CT spine; 368 mm across the image; sagittal plane, index 214; Bone window (WL 400, WW 1800); 613x1182 px; 16 vertebrae labeled in this scan
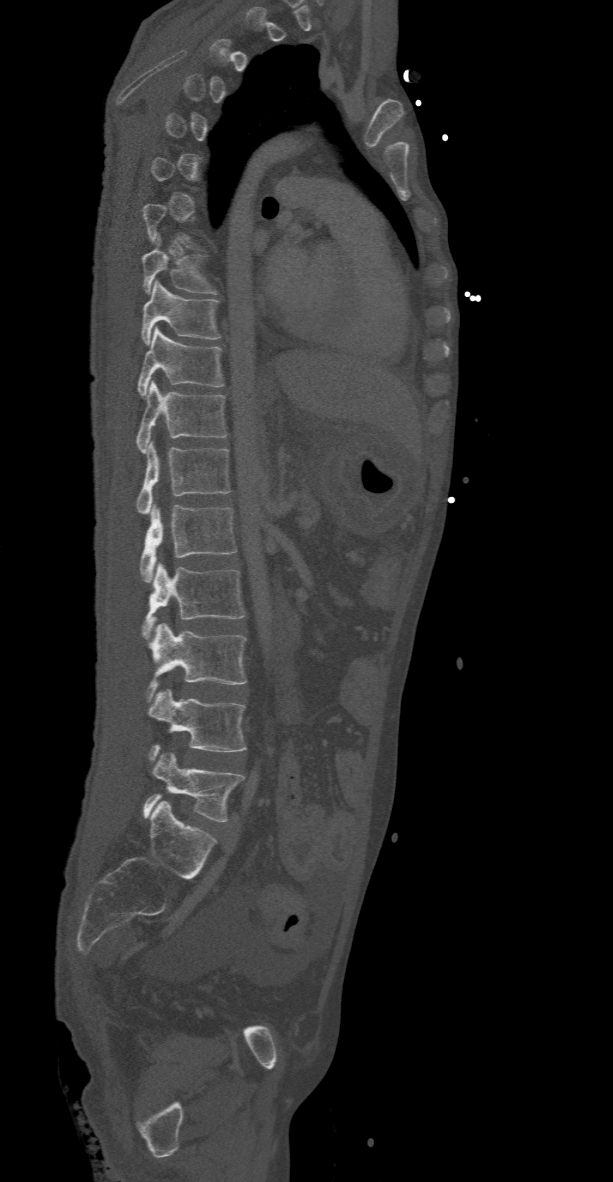
Coordinates as <box>x1,y1,x2,y2</box>.
Each vertebra is boxed only on the slices from the first to the last where its cross-section reaches a third of its largest, so a slice outside that range leaves it unboxed.
Vertebra bounding boxes:
- L5: <box>143,752,243,821</box>
- L4: <box>149,689,246,761</box>
- L3: <box>146,622,247,700</box>
- L2: <box>143,562,246,638</box>
- L1: <box>140,504,237,583</box>
- T12: <box>137,442,230,513</box>
- T11: <box>134,381,227,453</box>
- T10: <box>137,327,224,396</box>
- T9: <box>140,281,221,345</box>
- T8: <box>141,236,217,293</box>